CT, spine. sagittal view. W/L 1800/400 HU. the image is 336 mm wide
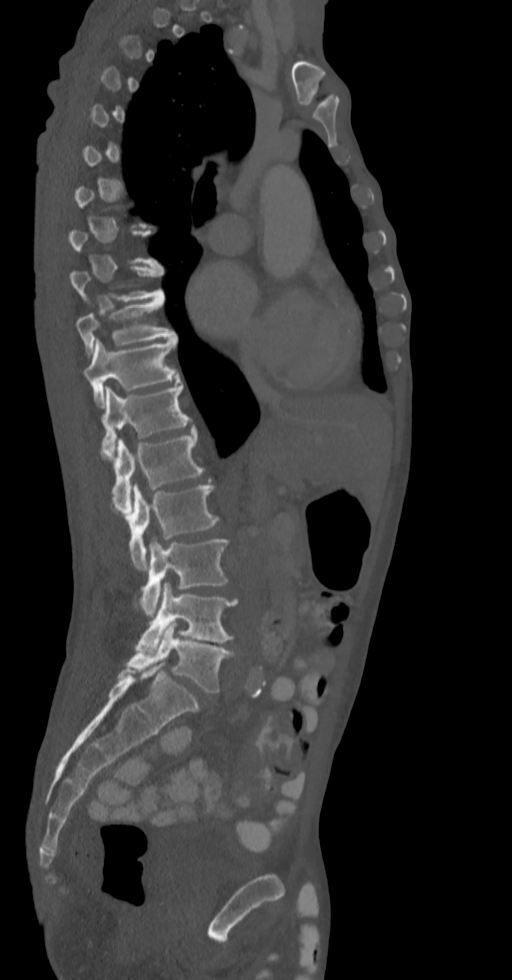

Boxes: x1:y1:x2:y2 in pixels.
A vertebra gets a box only on the slices from the first to the last where its cross-section is at least a third of its largest; on a slice outside that range it gets none.
Vertebra bounding boxes:
- T9: 70:265:163:301
- T10: 76:296:175:354
- T11: 84:338:179:407
- T12: 100:384:192:458
- L1: 111:430:203:514
- L2: 128:483:218:569
- L3: 139:539:229:616
- L4: 137:582:236:654
- L5: 126:622:233:692